CT. sagittal view
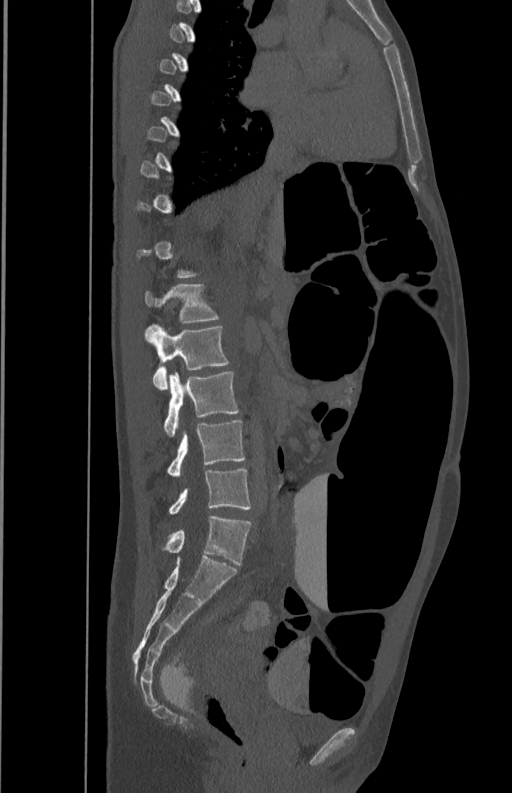
Each vertebra maps to its box as [x1, y1, x2, y2], the pixel coordinates of its top-left and bottom-right corners.
A vertebra is boxed only from the first to the last slice where its cross-section is at least a third of its largest; slices outside that range leave it without a box.
{"vertebrae":{"L1":[145,283,220,322],"L2":[145,324,228,389],"L3":[164,371,239,436],"L4":[167,420,245,476],"L5":[168,469,250,514]}}